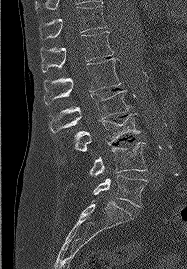 Spine CT; sagittal view; 187 mm wide

Boxes are given in columns x1, y1, x2, y2, the pixel coordinates of their top-left and bottom-right corners.
| vertebra | x1 | y1 | x2 | y2 |
|---|---|---|---|---|
| T11 | 39 | 5 | 106 | 39 |
| T12 | 40 | 31 | 113 | 72 |
| L1 | 44 | 58 | 121 | 104 |
| L2 | 49 | 90 | 129 | 133 |
| L3 | 74 | 113 | 140 | 151 |
| L4 | 89 | 142 | 146 | 175 |
| L5 | 93 | 175 | 147 | 206 |